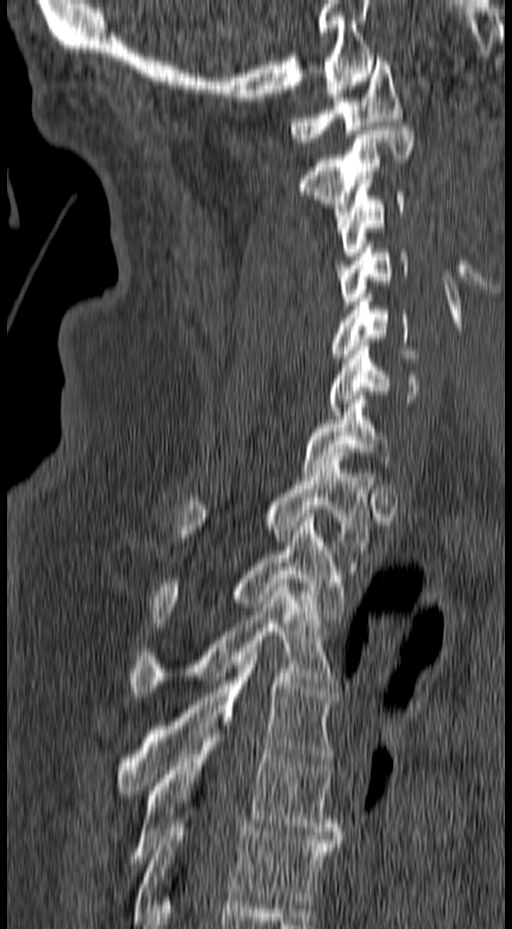
CT, spine. sagittal view. 157 mm image width

Boxes are (x1, y1, x2, y2) in pixels.
C1: (290, 57, 402, 142)
C2: (301, 126, 414, 227)
C3: (333, 188, 404, 256)
C4: (335, 245, 408, 309)
C5: (331, 294, 426, 358)
C6: (330, 338, 419, 415)
C7: (302, 391, 393, 476)
T1: (174, 457, 375, 549)
T2: (151, 514, 343, 627)
T3: (130, 579, 338, 696)
T4: (115, 648, 336, 798)
T5: (125, 730, 343, 867)
T6: (132, 819, 339, 920)